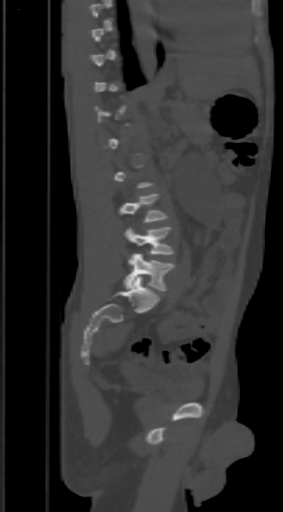

Spine CT · sagittal view · Bone window (WL 400, WW 1800)
Box edges are left/top/right/bottom in pixels.
A vertebra gets a box only on the slices from the first to the last where its cross-section is at least a third of its largest; on a slice outside that range it gets none.
Vertebra bounding boxes:
- L3: left=120, top=194, right=167, bottom=222
- L4: left=123, top=226, right=173, bottom=254
- L5: left=123, top=253, right=173, bottom=291